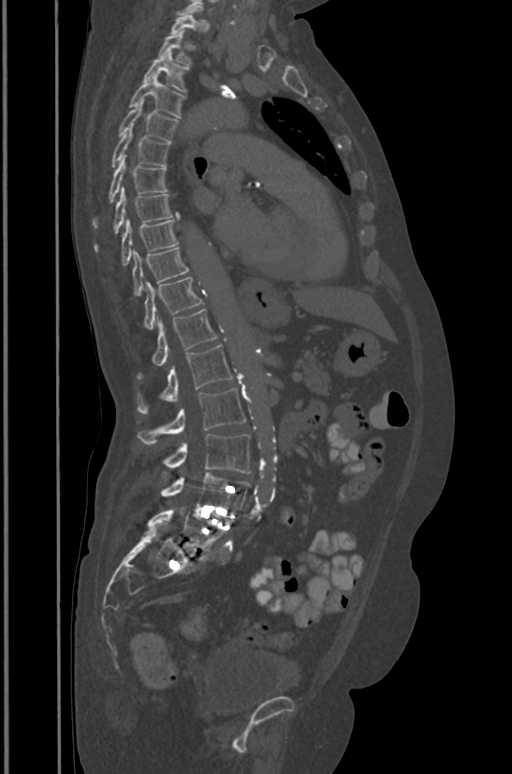 Computed tomography of the spine — sagittal reformat — W/L 1800/400 HU — 512x774 px
In the table, x1 and y1 are a box's top-left corner and x2 and y2 its bottom-right corner, in pixels.
Each vertebra is boxed only on the slices from the first to the last where its cross-section reaches a third of its largest, so a slice outside that range leaves it unboxed.
| vertebra | x1 | y1 | x2 | y2 |
|---|---|---|---|---|
| T2 | 158 | 30 | 190 | 66 |
| T3 | 144 | 51 | 186 | 91 |
| T4 | 130 | 74 | 185 | 117 |
| T5 | 119 | 101 | 177 | 142 |
| T6 | 111 | 127 | 169 | 166 |
| T7 | 93 | 155 | 167 | 227 |
| T8 | 96 | 187 | 178 | 250 |
| T9 | 122 | 218 | 178 | 264 |
| T10 | 132 | 247 | 188 | 295 |
| T11 | 144 | 277 | 201 | 328 |
| T12 | 139 | 308 | 216 | 377 |
| L1 | 137 | 344 | 232 | 412 |
| L2 | 137 | 389 | 245 | 444 |
| L3 | 164 | 434 | 250 | 473 |
| L4 | 161 | 472 | 250 | 513 |
| L5 | 148 | 510 | 227 | 550 |